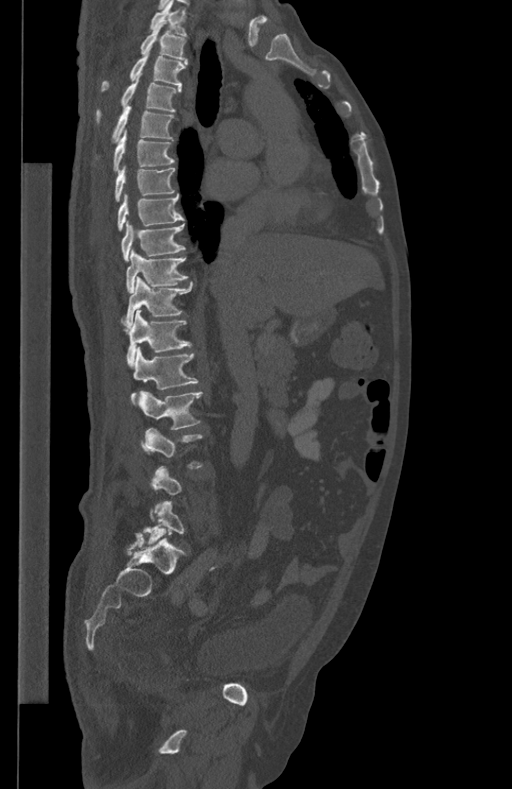

Spine CT. sagittal view. Bone window (WL 400, WW 1800). Boxes are given in columns x1, y1, x2, y2, the pixel coordinates of their top-left and bottom-right corners.
A vertebra gets a box only on the slices from the first to the last where its cross-section is at least a third of its largest; on a slice outside that range it gets none.
| vertebra | x1 | y1 | x2 | y2 |
|---|---|---|---|---|
| T1 | 150 | 0 | 186 | 36 |
| T2 | 140 | 21 | 185 | 60 |
| T3 | 100 | 53 | 187 | 90 |
| T4 | 97 | 79 | 181 | 121 |
| T5 | 112 | 106 | 174 | 141 |
| T6 | 113 | 131 | 174 | 171 |
| T7 | 114 | 165 | 175 | 201 |
| T8 | 118 | 193 | 184 | 229 |
| T9 | 121 | 222 | 184 | 260 |
| T10 | 126 | 248 | 188 | 292 |
| T11 | 121 | 277 | 192 | 327 |
| T12 | 126 | 309 | 191 | 365 |
| L1 | 132 | 346 | 198 | 395 |
| L2 | 138 | 390 | 202 | 429 |
| L5 | 144 | 501 | 183 | 542 |